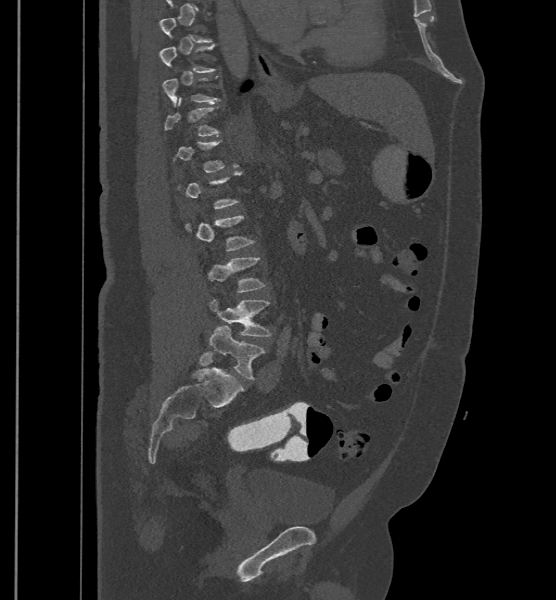 CT. sagittal view. 500 mm across the image. bone-window reconstruction. 556x600 px. Columns x1, y1, x2, y2 give each box's top-left and bottom-right pixels.
A vertebra gets a box only on the slices from the first to the last where its cross-section is at least a third of its largest; on a slice outside that range it gets none.
These labels give the spine a sixth lumbar vertebra, L6, below L5.
| vertebra | x1 | y1 | x2 | y2 |
|---|---|---|---|---|
| L6 | 208 | 326 | 265 | 379 |
| L5 | 208 | 299 | 271 | 336 |
| L4 | 208 | 257 | 265 | 292 |